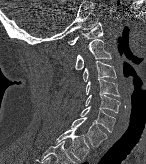 CT spine. sagittal reformat. bone-window reconstruction. 146x164 px

Box edges are left/top/right/bottom in pixels.
| vertebra | x1 | y1 | x2 | y2 |
|---|---|---|---|---|
| C1 | 68 | 22 | 103 | 45 |
| C2 | 75 | 39 | 112 | 69 |
| C3 | 82 | 61 | 116 | 81 |
| C4 | 85 | 79 | 119 | 96 |
| C5 | 85 | 93 | 120 | 112 |
| C6 | 80 | 106 | 115 | 132 |
| C7 | 71 | 117 | 107 | 146 |
| T1 | 55 | 128 | 89 | 162 |